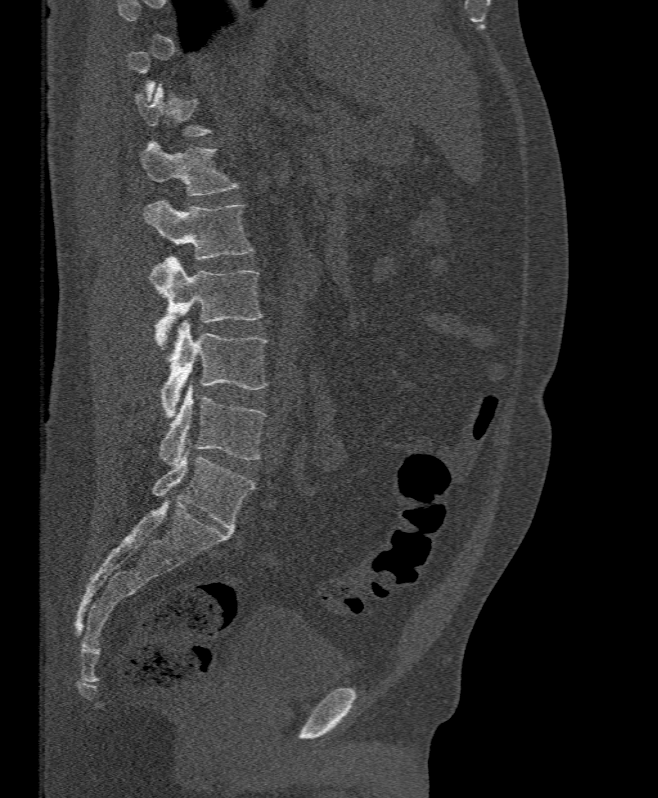

Computed tomography of the spine. sagittal reformat. Bone window (WL 400, WW 1800)

Boxes below are [x1, y1, x2, y2] in pixels.
Each vertebra is boxed only on the slices from the first to the last where its cross-section reaches a third of its largest, so a slice outside that range leaves it unboxed.
{"vertebrae":{"L5":[159,383,265,466],"L4":[161,320,268,418],"L3":[150,257,263,346],"L2":[143,200,252,259],"L1":[141,142,239,196],"T12":[135,85,210,136]}}